CT spine · sagittal reformat · the image is 257 mm wide · 257x214 px · an area of the scan was removed and filled with constant pixels
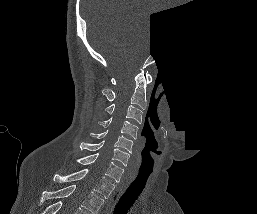 Labels in this scan begin with C1 at the top and end with T1 at the bottom.
<vertebrae><v name="C1" x1="111" y1="71" x2="151" y2="84"/><v name="C2" x1="101" y1="69" x2="148" y2="109"/><v name="C3" x1="105" y1="103" x2="142" y2="123"/><v name="C4" x1="99" y1="117" x2="138" y2="139"/><v name="C5" x1="90" y1="130" x2="133" y2="153"/><v name="C6" x1="79" y1="140" x2="129" y2="166"/><v name="C7" x1="76" y1="153" x2="123" y2="181"/><v name="T1" x1="53" y1="169" x2="115" y2="198"/></vertebrae>